Spine CT · sagittal plane, index 27 · bone-window reconstruction · 407x407 px · 16 vertebrae labeled in this scan
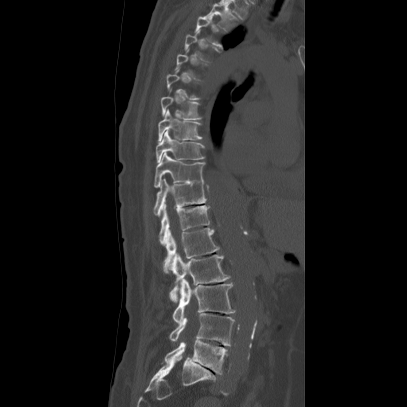 In the table, x1 and y1 are a box's top-left corner and x2 and y2 its bottom-right corner, in pixels.
A vertebra is boxed only from the first to the last slice where its cross-section is at least a third of its largest; slices outside that range leave it without a box.
| vertebra | x1 | y1 | x2 | y2 |
|---|---|---|---|---|
| T2 | 203 | 1 | 238 | 31 |
| T3 | 195 | 15 | 222 | 47 |
| T7 | 159 | 96 | 200 | 119 |
| T8 | 157 | 109 | 200 | 143 |
| T9 | 155 | 130 | 205 | 162 |
| T10 | 154 | 151 | 204 | 187 |
| T11 | 153 | 179 | 206 | 216 |
| T12 | 159 | 205 | 210 | 239 |
| L1 | 160 | 227 | 218 | 273 |
| L2 | 167 | 251 | 229 | 301 |
| L3 | 172 | 279 | 234 | 324 |
| L4 | 169 | 313 | 233 | 346 |
| L5 | 164 | 339 | 226 | 374 |